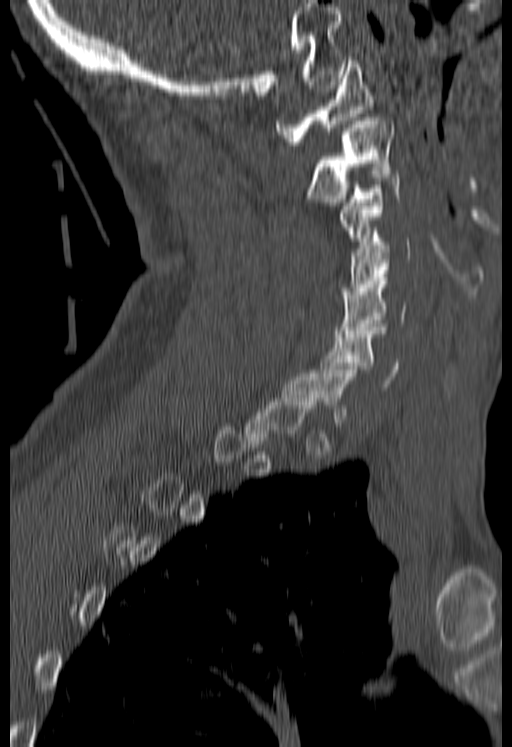
CT, spine · sagittal view · bone-window reconstruction

Box edges are left/top/right/bottom in pixels.
Not every vertebra on this slice has a box: a vertebra is boxed only from the first to the last slice where its cross-section is at least a third of its largest, and this slice is outside that range for at least one of them.
Vertebra bounding boxes:
- C1: left=276, top=57, right=373, bottom=145
- C2: left=308, top=117, right=392, bottom=205
- C3: left=339, top=174, right=398, bottom=251
- C4: left=340, top=231, right=410, bottom=298
- C5: left=334, top=274, right=405, bottom=337
- C6: left=319, top=327, right=398, bottom=387